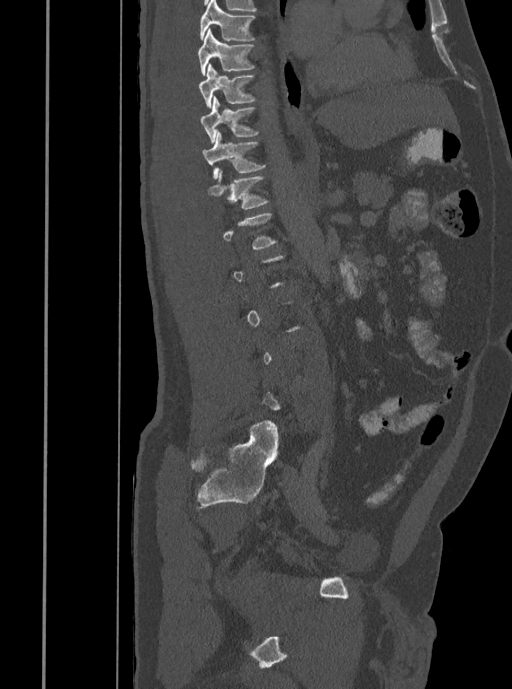 CT · sagittal view · 408 mm wide

Boxes: x1:y1:x2:y2 in pixels. Not every vertebra on this slice has a box: a vertebra is boxed only from the first to the last slice where its cross-section is at least a third of its largest, and this slice is outside that range for at least one of them. 6 vertebrae labeled — T12 at 208:168:270:209; T11 at 202:131:266:179; T10 at 201:96:260:144; T9 at 199:63:256:107; T8 at 198:28:256:75; T7 at 199:0:256:41.